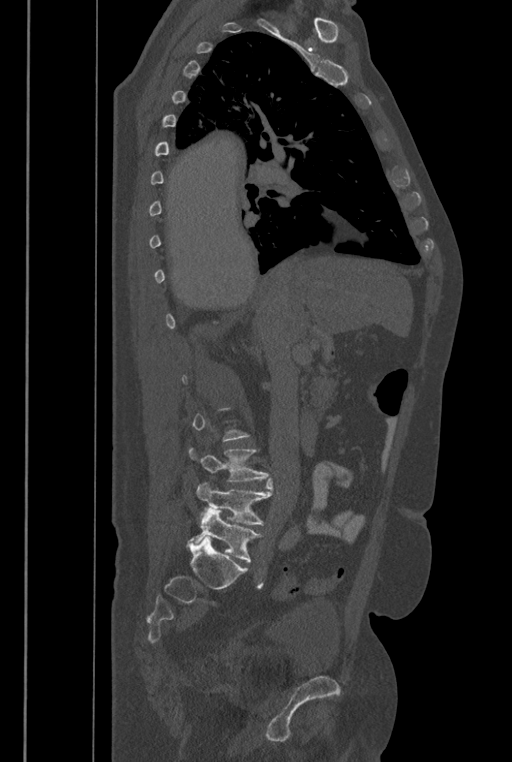

CT · sagittal view · 512x762 px

Each row gives a vertebra's box as x1, y1, x2, y2 in pixels: top-left corner, then bottom-right corner.
A vertebra gets a box only on the slices from the first to the last where its cross-section is at least a third of its largest; on a slice outside that range it gets none.
The labels name a sixth lumbar vertebra for this spine: L6, after L5.
| vertebra | x1 | y1 | x2 | y2 |
|---|---|---|---|---|
| L4 | 188 | 448 | 269 | 481 |
| L5 | 196 | 478 | 272 | 524 |
| L6 | 186 | 508 | 261 | 562 |